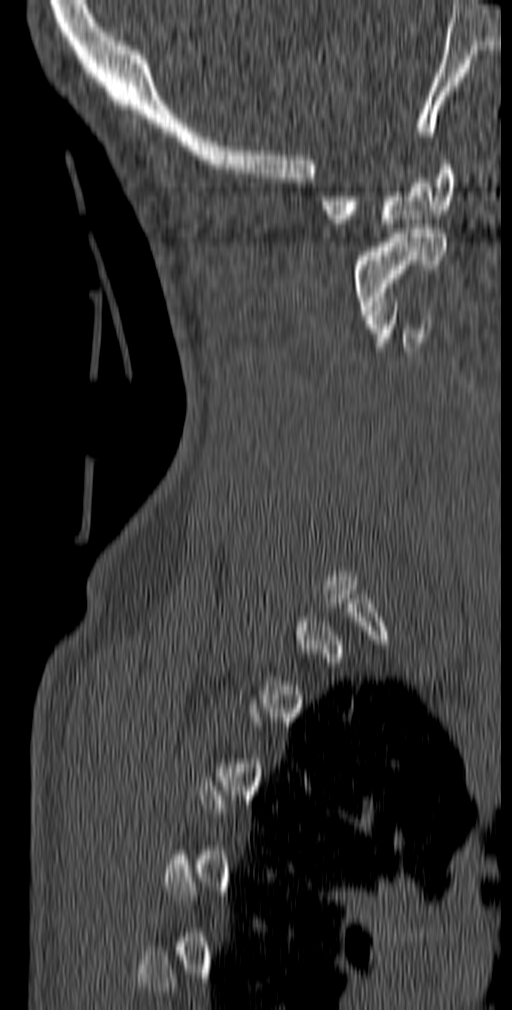
Spine computed tomography — sagittal view — W/L 1800/400 HU — 140 mm across the image
Each vertebra is boxed only on the slices from the first to the last where its cross-section reaches a third of its largest, so a slice outside that range leaves it unboxed.
<vertebrae><v name="C1" x1="321" y1="160" x2="454" y2="228"/><v name="C2" x1="352" y1="229" x2="446" y2="319"/></vertebrae>